CT spine — sagittal reformat — 342 mm image width — bone-window reconstruction — 512x642 px
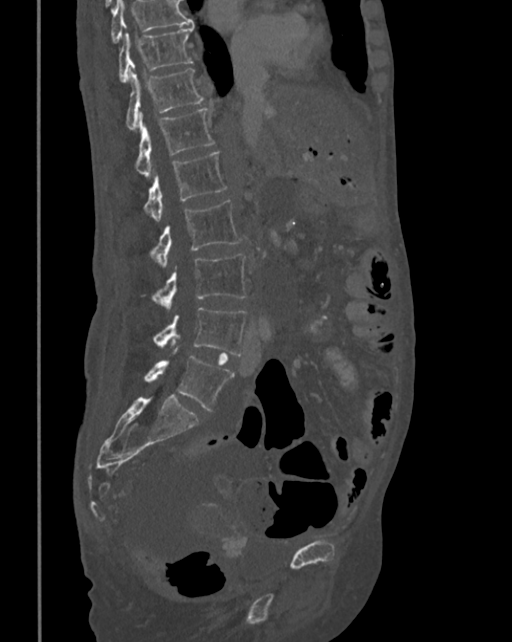
Boxes are (x1, y1, x2, y2) in pixels. Where the top of the scan cuts through a vertebra, that vertebra gets no label or box. 8 vertebrae labeled — T10 at (118, 26, 194, 83); T11 at (126, 68, 204, 130); T12 at (134, 108, 214, 176); L1 at (143, 152, 226, 221); L2 at (149, 199, 243, 266); L3 at (151, 254, 246, 308); L4 at (152, 307, 247, 355); L5 at (143, 355, 234, 411).